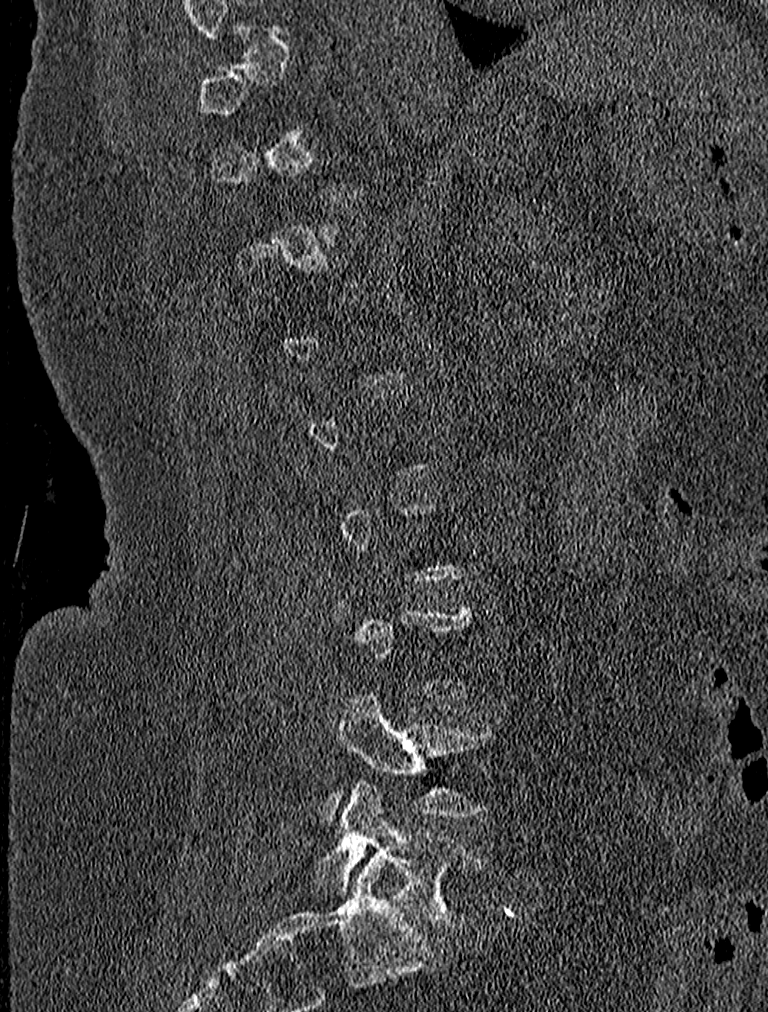

Computed tomography of the spine — sagittal view — 768x1012 px

Each vertebra maps to its box as [x1, y1, x2, y2], the pixel coordinates of its top-left and bottom-right corners.
Each vertebra is boxed only on the slices from the first to the last where its cross-section reaches a third of its largest, so a slice outside that range leaves it unboxed.
{"vertebrae":{"L4":[326,691,498,820],"L5":[313,783,485,928]}}